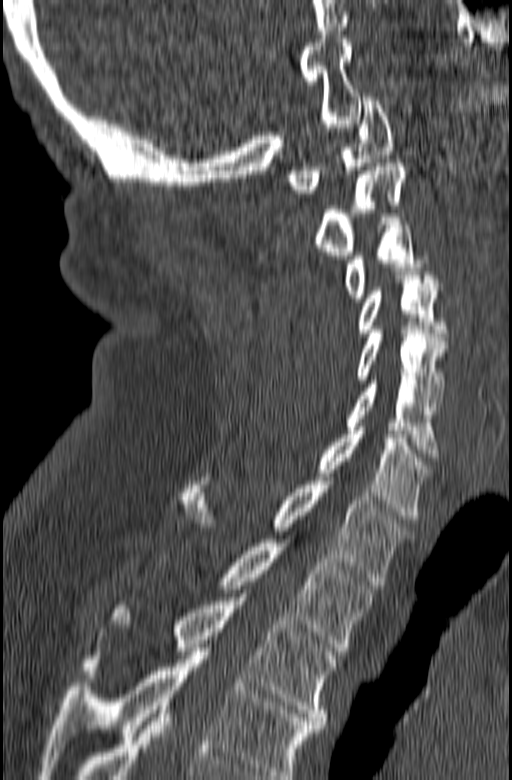
Computed tomography of the spine — sagittal view
Columns x1, y1, x2, y2 give each box's top-left and bottom-right pixels.
This scan's labels start at C1 at the top and end at T3 at the bottom.
| vertebra | x1 | y1 | x2 | y2 |
|---|---|---|---|---|
| C1 | 287 | 97 | 394 | 197 |
| C2 | 314 | 163 | 405 | 259 |
| C3 | 345 | 217 | 428 | 302 |
| C4 | 358 | 272 | 449 | 336 |
| C5 | 355 | 330 | 447 | 402 |
| C6 | 345 | 380 | 439 | 461 |
| C7 | 317 | 427 | 432 | 523 |
| T1 | 179 | 481 | 415 | 585 |
| T2 | 160 | 539 | 375 | 651 |
| T3 | 82 | 597 | 337 | 728 |